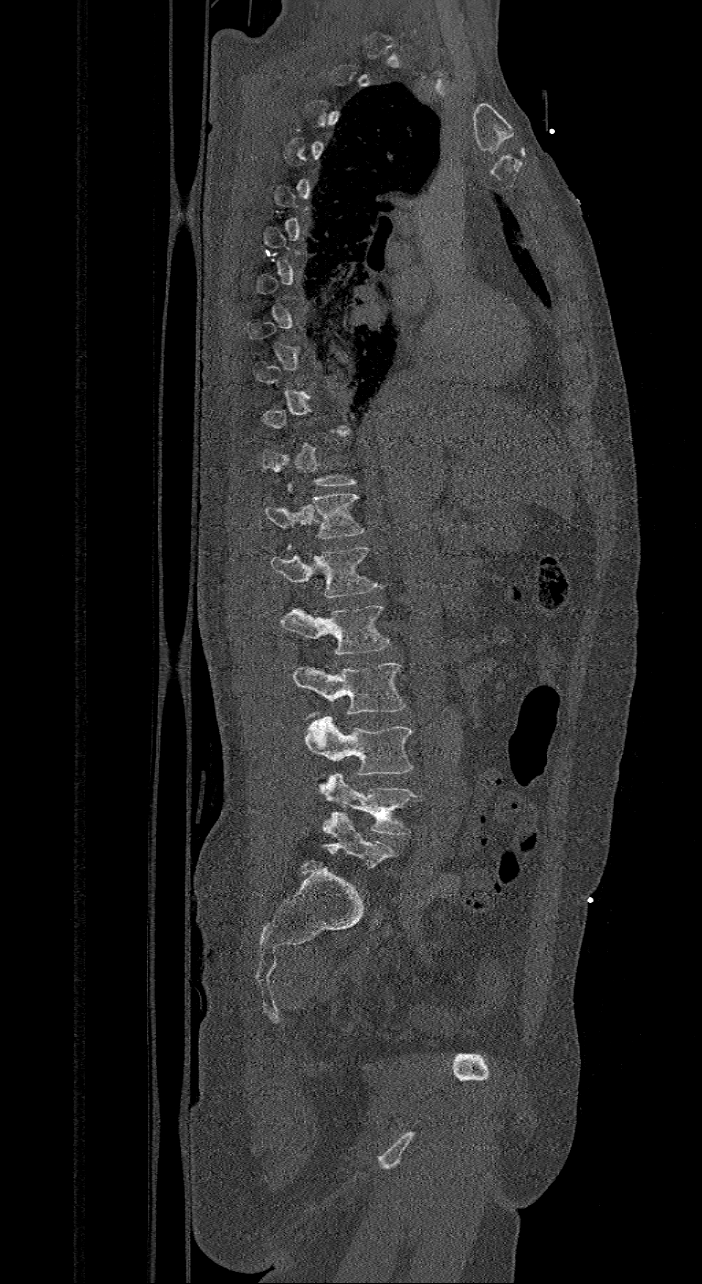

Computed tomography of the spine — sagittal reformat — W/L 1800/400 HU

Boxes: x1:y1:x2:y2 in pixels. A vertebra is boxed only from the first to the last slice where its cross-section is at least a third of its largest; slices outside that range leave it without a box. The labels name a sixth lumbar vertebra for this spine: L6, after L5. 7 vertebrae labeled — L6 at 322:812:398:870; L5 at 319:773:422:835; L4 at 304:714:414:780; L3 at 293:663:407:717; L2 at 280:603:391:655; L1 at 271:547:383:596; T12 at 264:485:365:549.